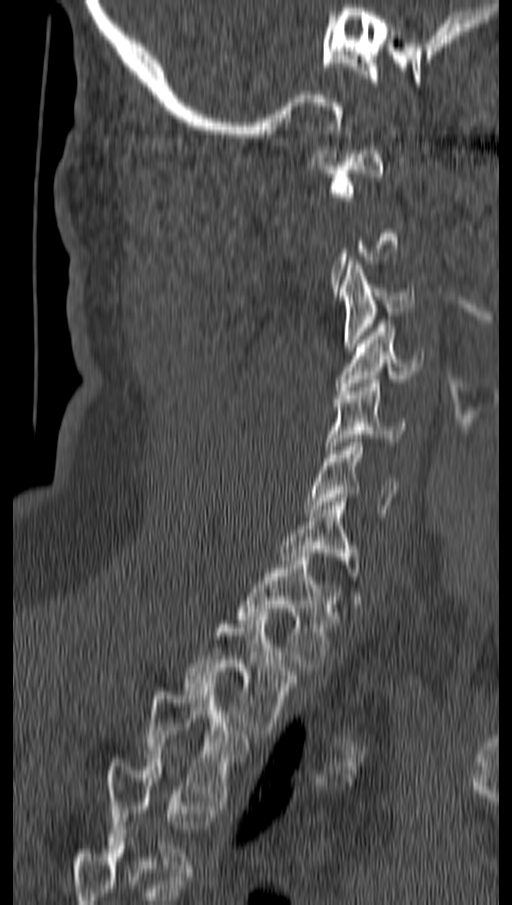

Spine computed tomography; sagittal view; bone-window reconstruction; 512x905 px; 162 mm across the image
Boxes are (x1, y1, x2, y2) in pixels. Not every vertebra on this slice has a box: a vertebra is boxed only from the first to the last slice where its cross-section is at least a third of its largest, and this slice is outside that range for at least one of them. The highest labeled vertebra in this scan is C1; the lowest is T4. 10 vertebrae labeled — C1 at (312, 146, 386, 200); C3 at (339, 261, 414, 351); C4 at (336, 324, 423, 390); C5 at (327, 379, 405, 453); C6 at (304, 439, 398, 513); C7 at (279, 498, 357, 576); T1 at (238, 557, 335, 671); T2 at (184, 616, 297, 734); T3 at (146, 683, 247, 801); T4 at (105, 759, 212, 872).